Spine computed tomography; Sagittal slice 74/168; 512x512 px; some of the image was removed or blocked out with constant pixels
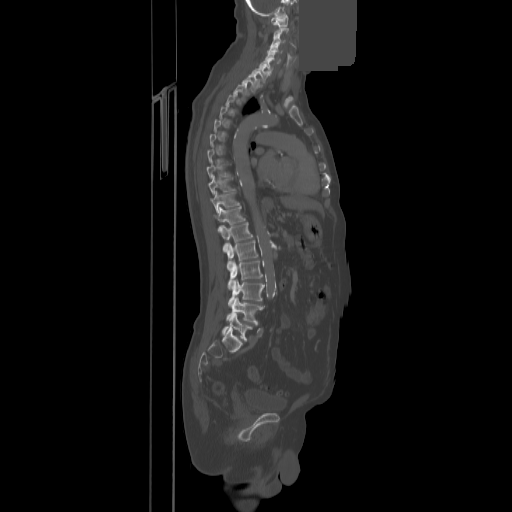

Boxes: x1:y1:x2:y2 in pixels.
Each vertebra is boxed only on the slices from the first to the last where its cross-section reaches a third of its largest, so a slice outside that range leaves it unboxed.
Vertebra bounding boxes:
- L5: 222:313:252:341
- L4: 226:297:264:322
- L3: 228:279:264:306
- L2: 228:260:262:289
- L1: 227:240:258:270
- T12: 220:222:252:252
- T11: 214:206:245:230
- T10: 210:190:239:212
- T9: 208:175:232:194
- T8: 207:161:229:178
- T2: 233:82:247:101
- T1: 242:73:258:92
- C7: 251:66:269:83
- C6: 259:60:273:72
- C5: 265:52:280:63
- C4: 268:44:282:52
- C3: 271:35:284:44
- C1: 271:16:288:27